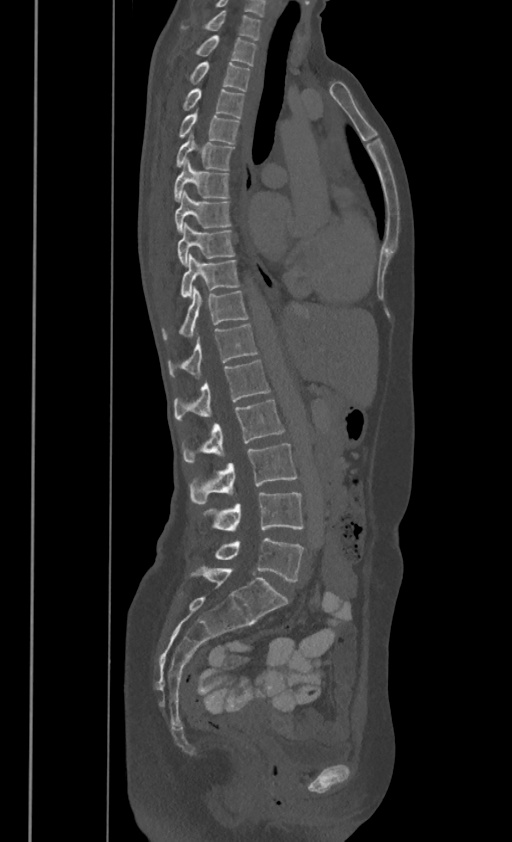
Spine computed tomography. sagittal view. 512x842 px
Box edges are left/top/right/bottom in pixels.
In these labels the thoracic vertebrae end at T11, so L1 follows T11.
Vertebra bounding boxes:
- C7: left=207, top=8, right=260, bottom=38
- T1: left=197, top=35, right=256, bottom=63
- T2: left=191, top=61, right=250, bottom=90
- T3: left=184, top=87, right=243, bottom=117
- T4: left=179, top=109, right=239, bottom=142
- T5: left=176, top=131, right=232, bottom=169
- T6: left=174, top=158, right=228, bottom=201
- T7: left=175, top=191, right=230, bottom=231
- T8: left=178, top=221, right=234, bottom=264
- T9: left=182, top=253, right=238, bottom=296
- T10: left=163, top=287, right=247, bottom=337
- T11: left=168, top=324, right=256, bottom=376
- L1: left=174, top=359, right=269, bottom=418
- L2: left=183, top=399, right=284, bottom=461
- L3: left=191, top=444, right=296, bottom=504
- L4: left=208, top=493, right=303, bottom=531
- L5: left=216, top=538, right=303, bottom=582